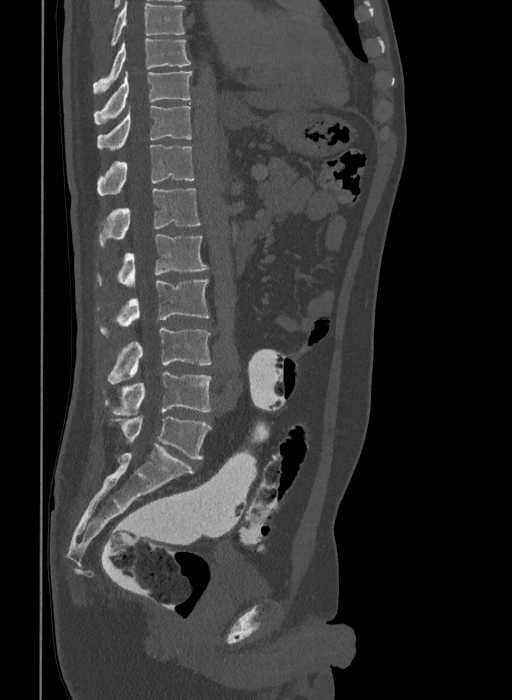

CT spine; sagittal view. Bounding boxes as [x1, y1, x2, y2] in pixel coordinates.
In this scan, the topmost labeled vertebra is T9 and the lowest is L6.
In these labels the spine has an L6, a sixth lumbar vertebra below L5.
T9: [93, 38, 190, 94]
T10: [94, 71, 192, 124]
T11: [98, 105, 192, 149]
T12: [98, 144, 194, 195]
L1: [99, 188, 200, 248]
L2: [96, 234, 208, 287]
L3: [96, 279, 209, 338]
L4: [108, 328, 210, 383]
L5: [103, 372, 212, 415]
L6: [109, 416, 210, 459]